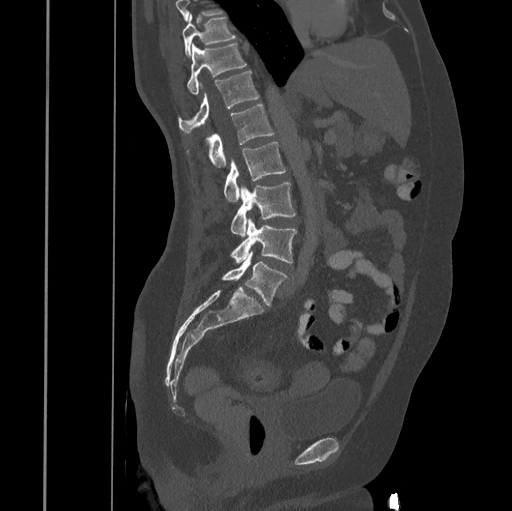
Computed tomography of the spine; sagittal view
Box edges are left/top/right/bottom in pixels.
Vertebrae that run past the top of the scan are left unlabeled.
T10: left=182, top=14, right=236, bottom=56
T11: left=187, top=43, right=246, bottom=94
T12: left=178, top=71, right=259, bottom=133
L1: left=186, top=104, right=274, bottom=167
L2: left=223, top=141, right=285, bottom=201
L3: left=230, top=181, right=296, bottom=237
L4: left=230, top=218, right=297, bottom=263
L5: left=222, top=252, right=288, bottom=306